Spine computed tomography; sagittal view; 768x1218 px; 6 vertebrae labeled in this scan
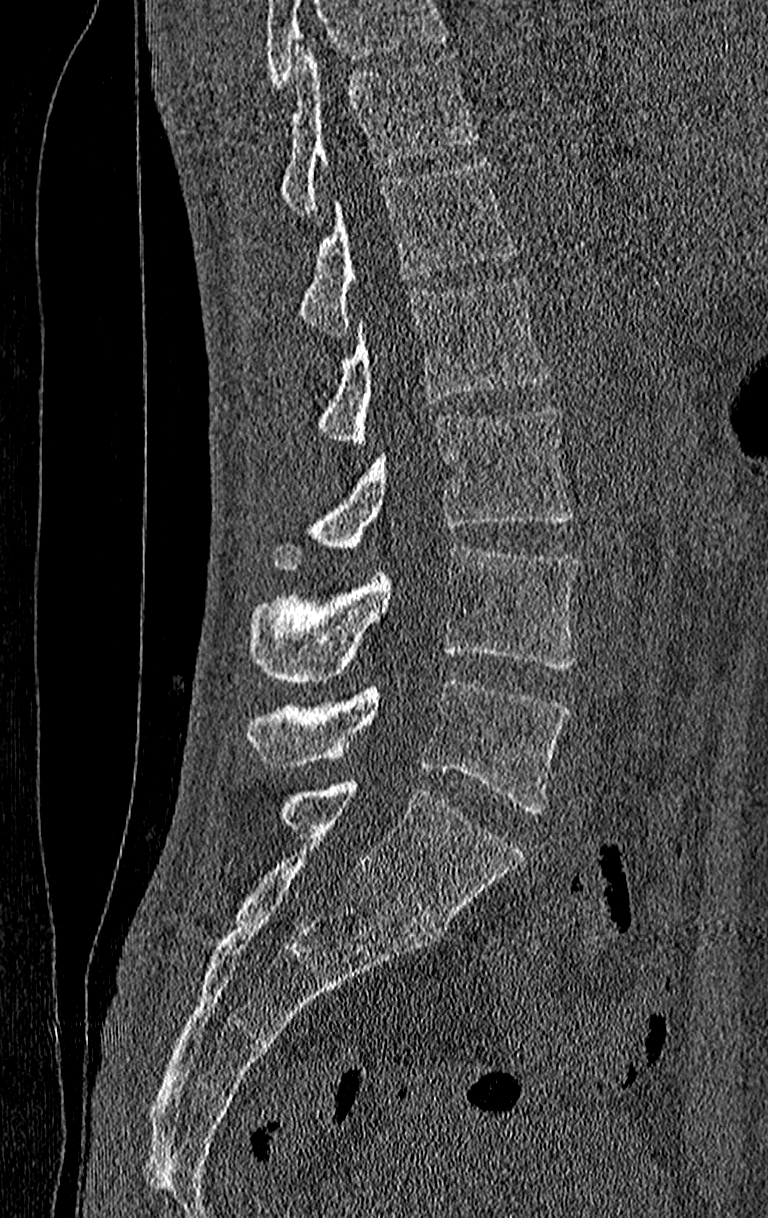 Boxes: x1:y1:x2:y2 in pixels.
No box is given to a vertebra that the top edge of the scan cuts off.
The highest labeled vertebra in this scan is T11; the lowest is L4.
T11: 280:48:477:216
T12: 251:161:521:336
L1: 317:275:550:447
L2: 273:406:572:570
L3: 251:546:579:684
L4: 247:678:568:812